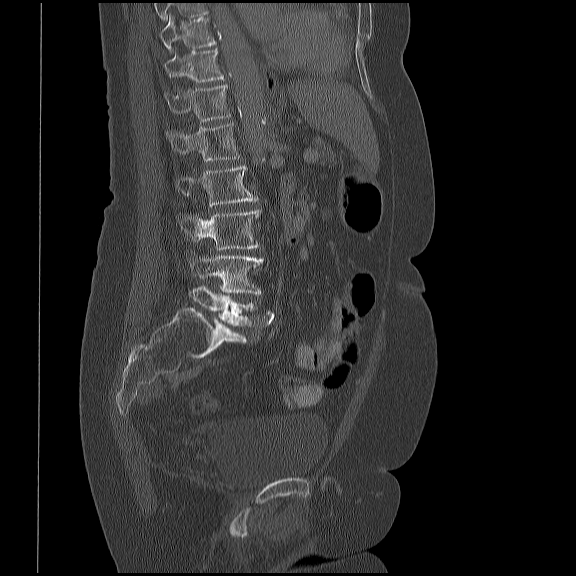
Spine CT — sagittal reformat — Bone window (WL 400, WW 1800) — 419 mm image width. Each box given as x1,y1,x2,y2. Labels in this scan begin with T10 at the top and end with L5 at the bottom. Vertebrae labeled: T10 at x1=160, y1=16, x2=219, y2=50, T11 at x1=163, y1=49, x2=224, y2=82, T12 at x1=164, y1=84, x2=230, y2=122, L1 at x1=165, y1=122, x2=240, y2=162, L2 at x1=176, y1=165, x2=258, y2=206, L3 at x1=179, y1=209, x2=261, y2=250, L4 at x1=190, y1=255, x2=263, y2=294, L5 at x1=190, y1=285, x2=255, y2=325.